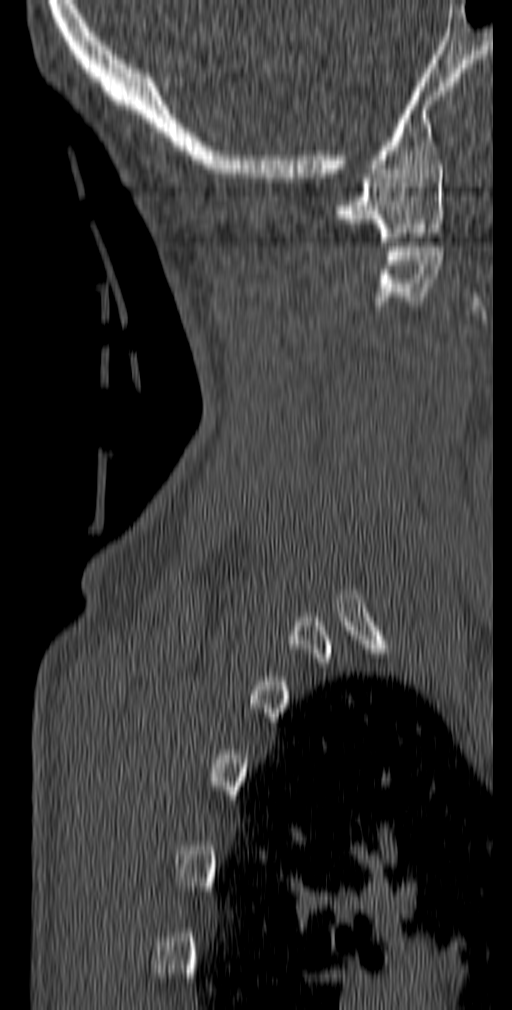
Spine CT; sagittal view; bone window; 140 mm wide
Coordinates as <box>x1,y1,x2,y2</box>.
C1: <box>335,165,444,241</box>
C2: <box>374,242,443,305</box>